CT — Sagittal slice 271/512 — Bone window (WL 400, WW 1800)
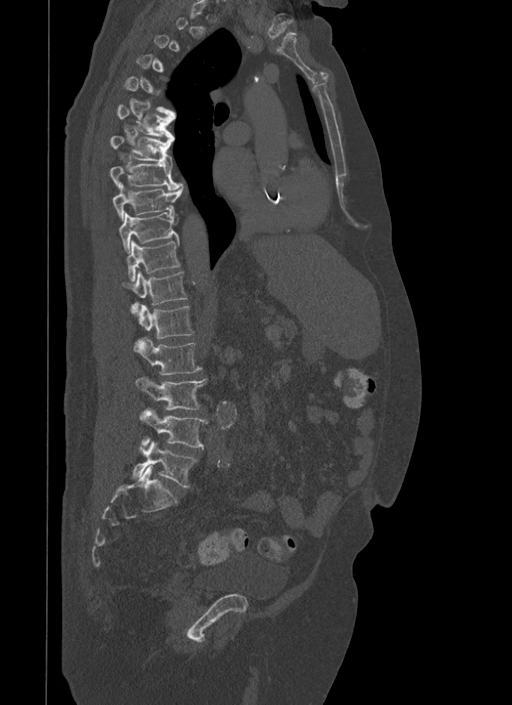 Box values are [left, top, right, bottom] in pixels.
Each vertebra is boxed only on the slices from the first to the last where its cross-section reaches a third of its largest, so a slice outside that range leaves it unboxed.
{"vertebrae":{"L5":[133,440,196,486],"L4":[140,409,207,449],"L3":[136,377,207,410],"L2":[134,337,202,374],"L1":[138,304,193,338],"T12":[121,270,187,313],"T11":[126,240,180,281],"T10":[118,212,178,253],"T9":[111,184,183,220],"T8":[109,162,181,189],"T7":[109,135,172,164],"T6":[116,104,175,141]}}